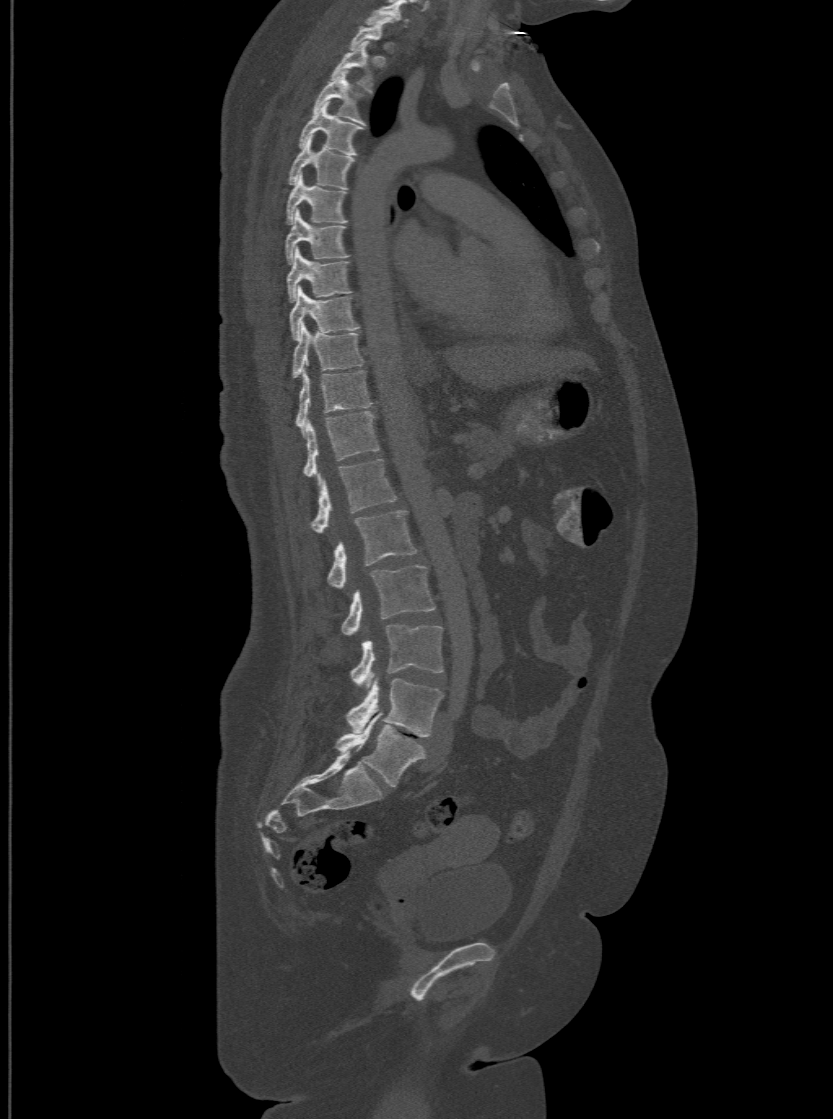 Computed tomography of the spine. sagittal reformat. 833x1119 px
Boxes are given in columns x1, y1, x2, y2, the pixel coordinates of their top-left and bottom-right corners.
This scan's labels start at T1 at the top and end at L6 at the bottom.
These labels give the spine a sixth lumbar vertebra, L6, below L5.
| vertebra | x1 | y1 | x2 | y2 |
|---|---|---|---|---|
| T1 | 350 | 20 | 385 | 47 |
| T2 | 330 | 40 | 373 | 91 |
| T3 | 312 | 70 | 365 | 122 |
| T4 | 298 | 102 | 362 | 154 |
| T5 | 288 | 137 | 354 | 187 |
| T6 | 286 | 175 | 346 | 222 |
| T7 | 285 | 210 | 349 | 262 |
| T8 | 286 | 247 | 351 | 301 |
| T9 | 290 | 287 | 359 | 339 |
| T10 | 291 | 325 | 362 | 377 |
| T11 | 295 | 370 | 370 | 432 |
| T12 | 303 | 410 | 378 | 476 |
| L1 | 309 | 458 | 396 | 531 |
| L2 | 327 | 510 | 416 | 588 |
| L3 | 342 | 566 | 434 | 635 |
| L4 | 350 | 624 | 442 | 685 |
| L5 | 347 | 679 | 442 | 737 |
| L6 | 337 | 713 | 425 | 787 |